Spine computed tomography — sagittal reformat — bone window — 211 mm wide
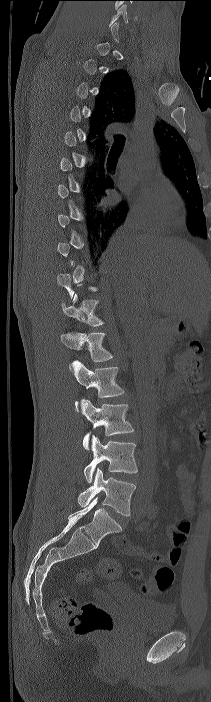 Each box given as x1,y1,x2,y2.
A vertebra gets a box only on the slices from the first to the last where its cross-section is at least a third of its largest; on a slice outside that range it gets none.
Labels in this scan begin with C7 at the top and end with L4 at the bottom.
T11: x1=62, y1=293, x2=104, y2=326
T12: x1=61, y1=331, x2=113, y2=370
L1: x1=71, y1=360, x2=124, y2=412
L2: x1=79, y1=399, x2=134, y2=449
L3: x1=83, y1=435, x2=137, y2=482
L4: x1=78, y1=468, x2=135, y2=516